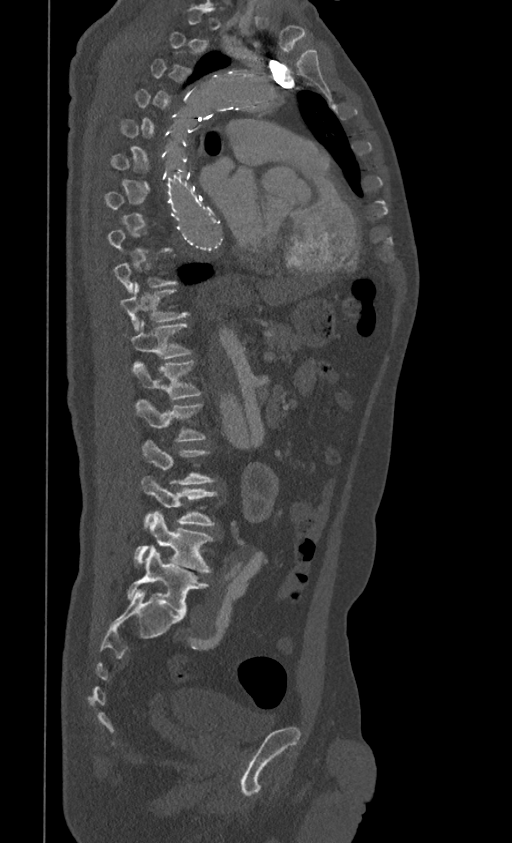
Computed tomography of the spine · sagittal view · Bone window (WL 400, WW 1800) · 512x843 px. Each box given as x1,y1,x2,y2.
Not every vertebra on this slice has a box: a vertebra is boxed only from the first to the last slice where its cross-section is at least a third of its largest, and this slice is outside that range for at least one of them.
Vertebra bounding boxes:
- L5: x1=126, y1=546, x2=208, y2=615
- L4: x1=135, y1=510, x2=213, y2=573
- L3: x1=141, y1=475, x2=217, y2=527
- L2: x1=142, y1=440, x2=216, y2=484
- L1: x1=135, y1=400, x2=207, y2=441
- T12: x1=131, y1=360, x2=202, y2=400
- T11: x1=131, y1=321, x2=193, y2=358
- T10: x1=120, y1=284, x2=189, y2=330